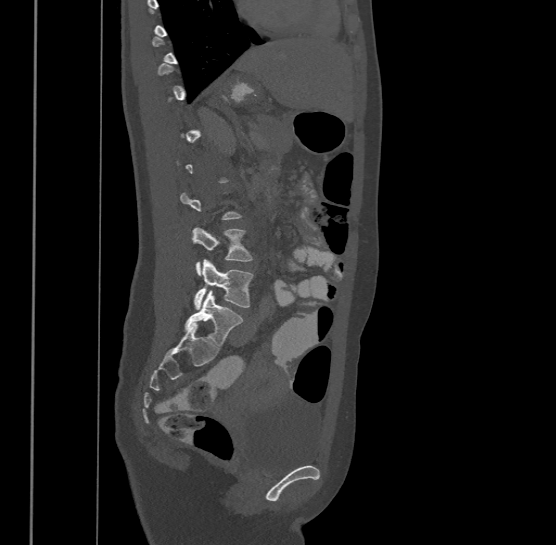
Spine CT; sagittal view; bone-window reconstruction
Boxes: x1:y1:x2:y2 in pixels.
Each vertebra is boxed only on the slices from the first to the last where its cross-section reaches a third of its largest, so a slice outside that range leaves it unboxed.
The highest labeled vertebra in this scan is T9; the lowest is L4.
L4: 193:258:253:310
L3: 192:226:252:274